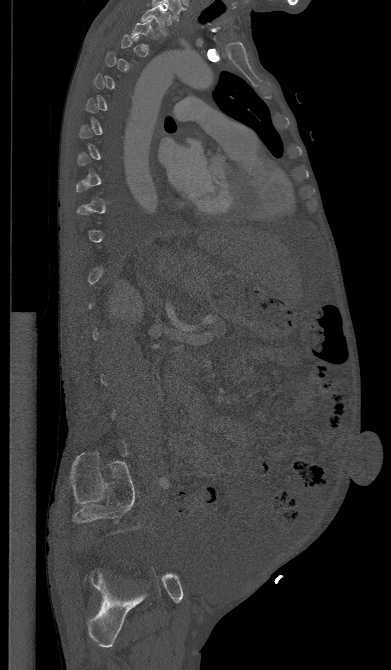

CT — sagittal view — 391 mm across the image — W/L 1800/400 HU — 391x670 px. Boxes: x1:y1:x2:y2 in pixels.
Not every vertebra on this slice has a box: a vertebra is boxed only from the first to the last slice where its cross-section is at least a third of its largest, and this slice is outside that range for at least one of them.
Vertebra bounding boxes:
- T1: 141:5:171:35
- T2: 131:18:158:39